Computed tomography of the spine; sagittal view; bone-window reconstruction
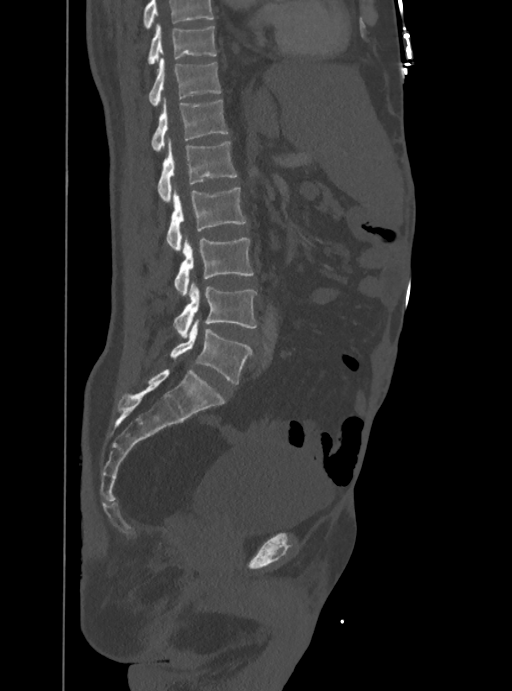
Boxes are given in columns x1, y1, x2, y2, the pixel coordinates of their top-left and bottom-right corners.
No box is given to a vertebra that the top edge of the scan cuts off.
| vertebra | x1 | y1 | x2 | y2 |
|---|---|---|---|---|
| T10 | 148 | 24 | 217 | 63 |
| T11 | 149 | 58 | 221 | 106 |
| T12 | 152 | 99 | 228 | 151 |
| L1 | 158 | 140 | 236 | 202 |
| L2 | 166 | 188 | 246 | 251 |
| L3 | 174 | 238 | 254 | 296 |
| L4 | 174 | 283 | 256 | 337 |
| L5 | 170 | 319 | 250 | 384 |